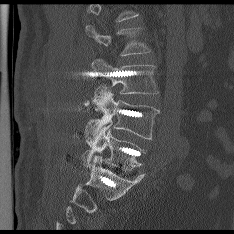

CT, spine · sagittal view

Each vertebra is boxed only on the slices from the first to the last where its cross-section reaches a third of its largest, so a slice outside that range leaves it unboxed.
<vertebrae><v name="L3" x1="92" y1="59" x2="158" y2="94"/><v name="L4" x1="84" y1="83" x2="159" y2="145"/><v name="L5" x1="83" y1="122" x2="145" y2="170"/></vertebrae>